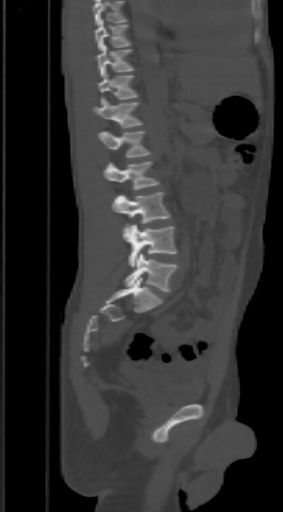

Computed tomography of the spine; sagittal view; W/L 1800/400 HU; 283x512 px; the image spans 303 mm across
Box edges are left/top/right/bottom in pixels. Vertebrae that run past the top of the scan are left unlabeled. 9 vertebrae labeled — L5 at left=123, top=253, right=178, bottom=292; L4 at left=123, top=224, right=178, bottom=267; L3 at left=112, top=192, right=170, bottom=225; L2 at left=104, top=161, right=159, bottom=189; L1 at left=98, top=131, right=150, bottom=157; T12 at left=92, top=101, right=142, bottom=128; T11 at left=98, top=73, right=139, bottom=104; T10 at left=95, top=44, right=133, bottom=77; T9 at left=95, top=19, right=131, bottom=51.